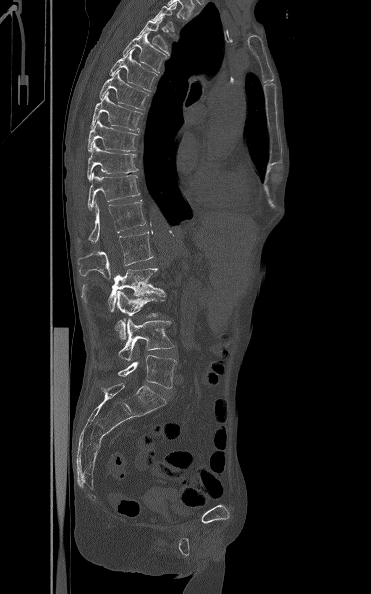
Spine CT; sagittal view; Bone window (WL 400, WW 1800); image 371 mm wide

Boxes: x1 y1 x2 y2 (pixel coords, space-separated).
Not every vertebra on this slice has a box: a vertebra is boxed only from the first to the last slice where its cross-section is at least a third of its largest, and this slice is outside that range for at least one of them.
Vertebra bounding boxes:
- L5: 117 355 177 388
- L4: 118 318 174 361
- L3: 115 290 165 339
- L2: 82 268 166 311
- L1: 78 231 154 278
- T12: 77 200 146 242
- T11: 87 173 140 210
- T10: 87 142 138 180
- T9: 87 119 137 151
- T8: 91 92 141 130
- T7: 99 69 148 109
- T6: 109 48 156 91
- T5: 123 32 167 73
- T4: 138 19 169 55